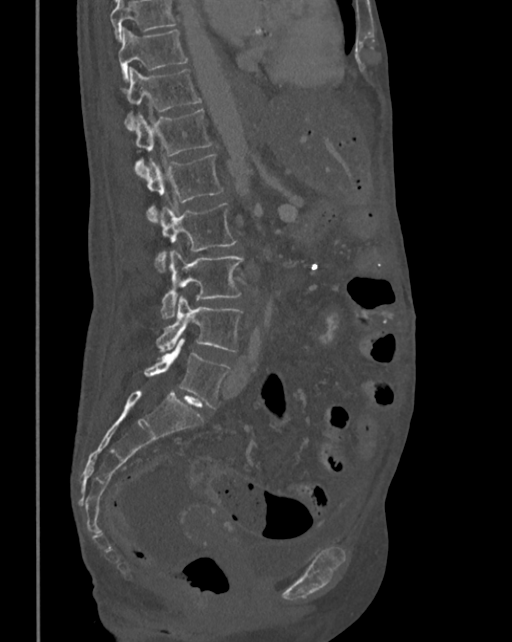

Spine CT · sagittal view
Bounding boxes as [x1, y1, x2, y2] in pixel coordinates.
No box is given to a vertebra that the top edge of the scan cuts off.
T10: [118, 27, 187, 81]
T11: [124, 68, 201, 130]
T12: [131, 108, 213, 177]
L1: [145, 155, 223, 222]
L2: [155, 202, 237, 271]
L3: [161, 250, 243, 319]
L4: [157, 296, 243, 351]
L5: [143, 337, 229, 408]